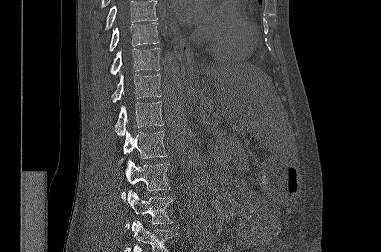
CT spine; sagittal view; bone window
No box is given to a vertebra that the top or bottom edge of the scan cuts off.
<vertebrae><v name="T9" x1="109" y1="22" x2="159" y2="51"/><v name="T10" x1="110" y1="48" x2="160" y2="75"/><v name="T11" x1="112" y1="73" x2="161" y2="103"/><v name="T12" x1="115" y1="102" x2="163" y2="136"/><v name="L1" x1="120" y1="130" x2="167" y2="162"/><v name="L2" x1="121" y1="159" x2="170" y2="200"/><v name="L3" x1="125" y1="191" x2="172" y2="229"/></vertebrae>